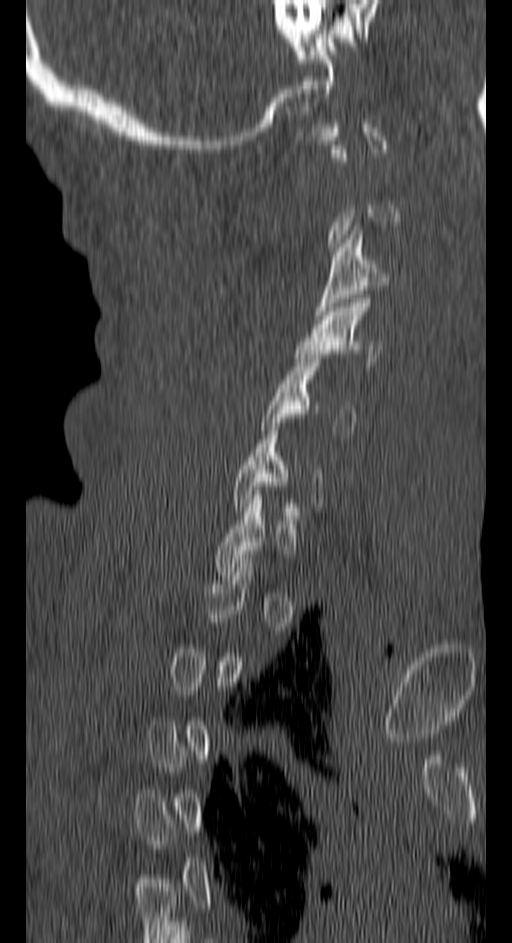

CT. sagittal reformat. 512x943 px
A vertebra gets a box only on the slices from the first to the last where its cross-section is at least a third of its largest; on a slice outside that range it gets none.
<vertebrae><v name="C3" x1="314" y1="226" x2="389" y2="315"/><v name="C4" x1="295" y1="299" x2="381" y2="366"/><v name="C5" x1="261" y1="354" x2="355" y2="434"/></vertebrae>